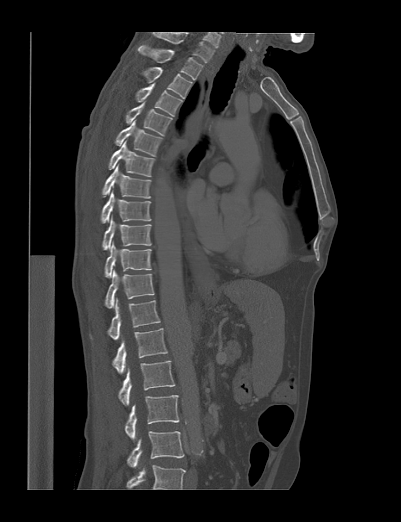

Spine computed tomography; sagittal view; image width 401 mm; Bone window (WL 400, WW 1800)

Boxes: x1 y1 x2 y2 (pixel coords, space-separated).
The highest labeled vertebra in this scan is T1; the lowest is L4.
T1: 138 45 203 80
T2: 144 67 192 98
T3: 135 83 181 116
T4: 125 102 172 135
T5: 115 120 162 156
T6: 108 141 155 176
T7: 101 164 151 198
T8: 101 190 151 223
T9: 102 214 151 249
T10: 105 242 152 277
T11: 105 270 154 308
T12: 107 298 160 339
L1: 112 328 167 373
L2: 118 360 175 406
L3: 125 395 179 439
L4: 126 431 184 468